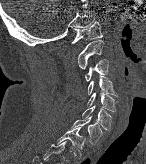

CT spine. sagittal view. 146x164 px
Each vertebra maps to its box as [x1, y1, x2, y2], the pixel coordinates of its top-left and bottom-right corners.
{"vertebrae":{"C1":[71,21,102,43],"C2":[77,40,103,69],"C3":[85,59,108,81],"C4":[87,76,117,96],"C5":[87,93,117,112],"C6":[82,106,111,130],"C7":[70,116,102,145],"T1":[56,127,84,159]}}